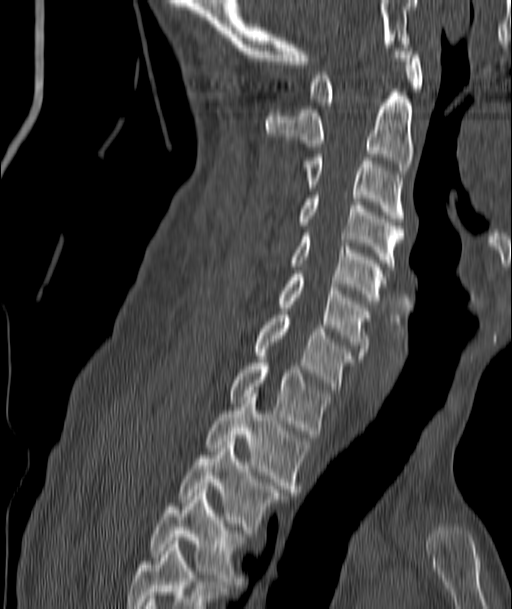
Spine CT — 187 mm image width — sagittal view. Each box given as x1,y1,x2,y2.
| vertebra | x1 | y1 | x2 | y2 |
|---|---|---|---|---|
| C1 | 310 | 51 | 422 | 105 |
| C2 | 266 | 89 | 413 | 174 |
| C3 | 302 | 154 | 405 | 218 |
| C4 | 297 | 195 | 405 | 269 |
| C5 | 291 | 233 | 386 | 304 |
| C6 | 277 | 274 | 369 | 355 |
| C7 | 253 | 315 | 353 | 389 |
| T1 | 228 | 359 | 331 | 437 |
| T2 | 206 | 397 | 309 | 492 |
| T3 | 179 | 441 | 282 | 533 |
| T4 | 149 | 493 | 246 | 581 |